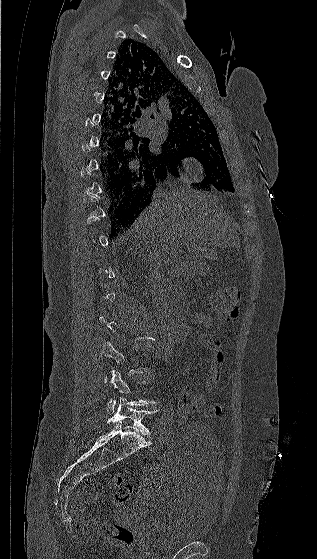

Computed tomography of the spine; sagittal view; 317x559 px; image 317 mm wide
Box edges are left/top/right/bottom in pixels.
Not every vertebra on this slice has a box: a vertebra is boxed only from the first to the last slice where its cross-section is at least a third of its largest, and this slice is outside that range for at least one of them.
L4: left=105, top=370, right=156, bottom=414
L5: left=107, top=396, right=157, bottom=434